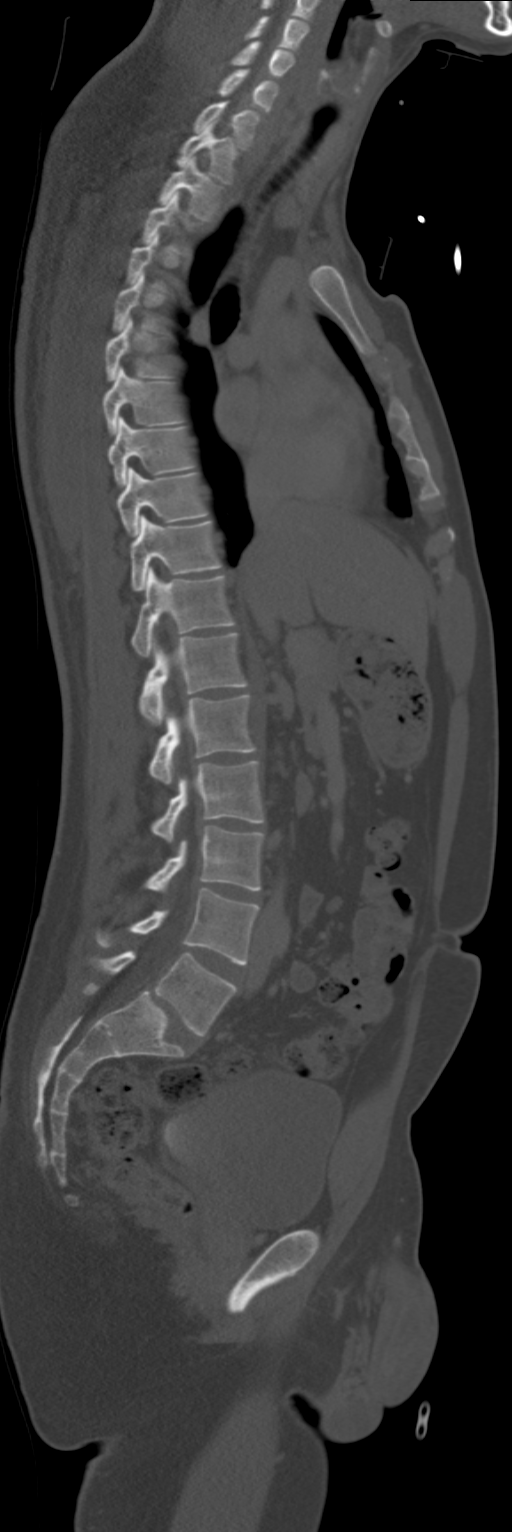
CT, spine · sagittal reformat
Boxes: x1 y1 x2 y2 (pixel coords, space-separated).
A vertebra is boxed only from the first to the last slice where its cross-section is at least a third of its largest; slices outside that range leave it without a box.
C4: 245 16 309 49
C5: 232 41 294 78
C6: 218 69 278 112
C7: 193 101 259 148
T1: 176 121 238 183
T2: 159 157 221 219
T5: 112 273 160 332
T6: 106 318 168 380
T7: 102 367 179 435
T8: 107 416 192 485
T9: 117 468 206 536
T10: 130 515 221 592
T11: 131 567 234 657
T12: 139 633 246 725
L1: 149 694 255 783
L2: 151 761 263 842
L3: 146 826 263 892
L4: 96 889 257 964
L5: 94 950 236 1035